Spine CT. sagittal view. Bone window (WL 400, WW 1800). 12 vertebrae labeled in this scan
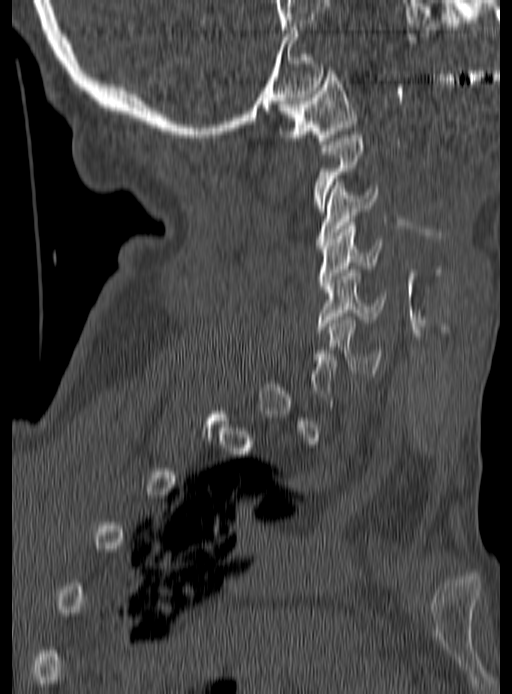
Box values are [left, top, right, bottom] in pixels.
Each vertebra is boxed only on the slices from the first to the last where its cross-section reaches a third of its largest, so a slice outside that range leaves it unboxed.
{"vertebrae":{"C1":[279,74,357,144],"C3":[315,182,378,245],"C4":[318,222,383,289],"C5":[316,269,385,332],"C6":[309,317,383,376]}}